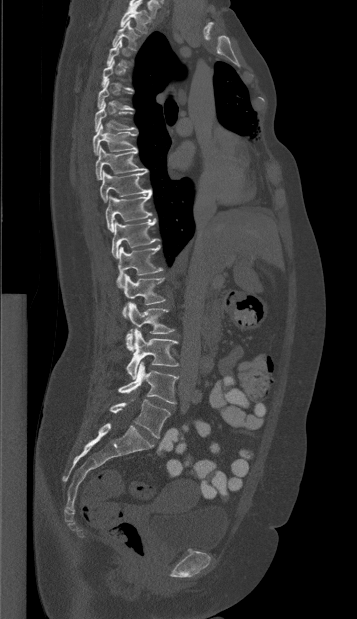
CT spine — sagittal view — bone window — 357x619 px
Boxes: x1:y1:x2:y2 in pixels.
Each vertebra is boxed only on the slices from the first to the last where its cross-section reaches a third of its largest, so a slice outside that range leaves it unboxed.
T1: 120:3:150:33
T2: 112:21:138:50
T5: 97:79:133:109
T6: 94:102:134:131
T7: 93:124:137:155
T8: 95:146:148:179
T9: 100:171:151:202
T10: 105:193:151:232
T11: 111:218:159:258
T12: 117:245:162:287
L1: 122:274:165:317
L2: 126:302:174:350
L3: 126:330:178:379
L4: 118:362:177:403
L5: 109:399:170:437